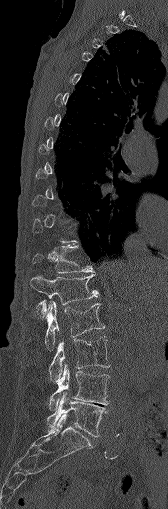 CT, spine. sagittal view
Each box given as x1,y1,x2,y2. A vertebra is boxed only from the first to the last slice where its cross-section is at least a third of its largest; slices outside that range leave it without a box. Vertebrae labeled: T12 at x1=32, y1=244, x2=92, y2=273, L1 at x1=30, y1=274, x2=98, y2=314, L2 at x1=45, y1=301, x2=104, y2=350, L3 at x1=50, y1=336, x2=110, y2=382, L4 at x1=49, y1=364, x2=109, y2=410, L5 at x1=46, y1=391, x2=107, y2=436.